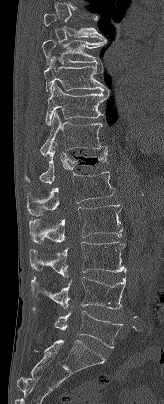 Spine CT — sagittal reformat — W/L 1800/400 HU
Labels in this scan begin with T7 at the top and end with L5 at the bottom.
<vertebrae><v name="T7" x1="43" y1="13" x2="107" y2="40"/><v name="T8" x1="42" y1="39" x2="107" y2="66"/><v name="T9" x1="43" y1="56" x2="108" y2="93"/><v name="T10" x1="45" y1="84" x2="109" y2="125"/><v name="T11" x1="40" y1="111" x2="107" y2="158"/><v name="T12" x1="24" y1="142" x2="107" y2="183"/><v name="L1" x1="26" y1="171" x2="115" y2="215"/><v name="L2" x1="28" y1="204" x2="122" y2="243"/><v name="L3" x1="29" y1="241" x2="126" y2="277"/><v name="L4" x1="31" y1="271" x2="126" y2="309"/><v name="L5" x1="34" y1="309" x2="123" y2="348"/></vertebrae>